Spine CT; Sagittal slice 56/88; the image spans 234 mm across; W/L 1800/400 HU
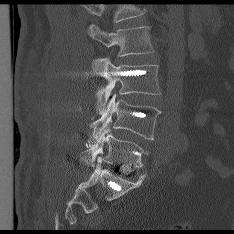
Boxes: x1 y1 x2 y2 (pixel coords, space-separated).
Where the top of the scan cuts through a vertebra, that vertebra gets no label or box.
L2: 89 24 153 56
L3: 93 58 160 112
L4: 85 94 160 147
L5: 82 126 148 167